Computed tomography of the spine · Sagittal slice 253/512 · scan covers 17 annotated vertebrae · 500 mm across the image
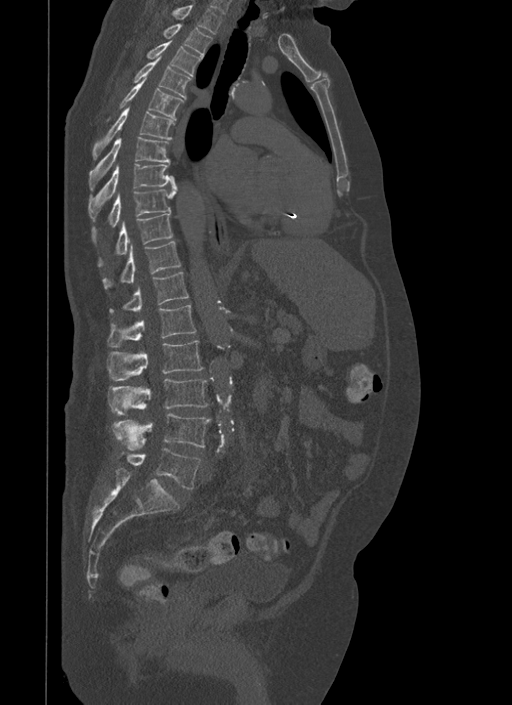
Columns x1, y1, x2, y2 give each box's top-left and bottom-right pixels.
| vertebra | x1 | y1 | x2 | y2 |
|---|---|---|---|---|
| T1 | 152 | 0 | 220 | 34 |
| T2 | 163 | 24 | 212 | 58 |
| T3 | 147 | 40 | 202 | 77 |
| T4 | 135 | 56 | 191 | 99 |
| T5 | 107 | 78 | 184 | 120 |
| T6 | 92 | 106 | 173 | 159 |
| T7 | 89 | 137 | 169 | 189 |
| T8 | 88 | 164 | 177 | 221 |
| T9 | 92 | 189 | 175 | 244 |
| T10 | 98 | 212 | 173 | 266 |
| T11 | 102 | 241 | 181 | 289 |
| T12 | 109 | 271 | 189 | 312 |
| L1 | 107 | 305 | 196 | 347 |
| L2 | 107 | 340 | 204 | 380 |
| L3 | 107 | 379 | 207 | 415 |
| L4 | 111 | 413 | 210 | 450 |
| L5 | 121 | 449 | 200 | 488 |